Spine CT. sagittal view. image width 467 mm. bone window
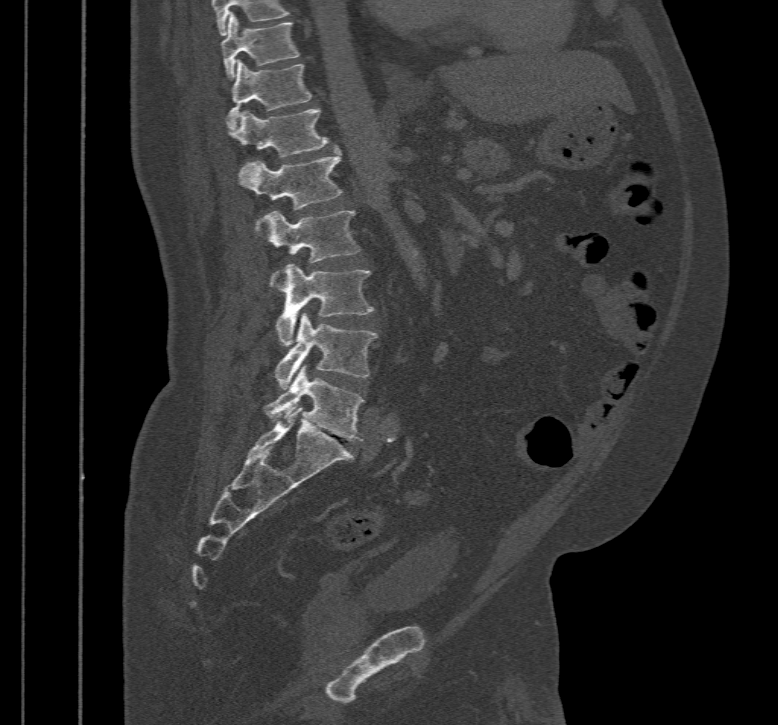
Boxes are (x1, y1, x2, y2) in pixels.
T10: (222, 12, 298, 79)
T11: (227, 59, 312, 129)
T12: (230, 109, 329, 156)
L1: (239, 151, 343, 236)
L2: (263, 210, 361, 286)
L3: (277, 264, 374, 346)
L4: (275, 314, 378, 389)
L5: (263, 365, 364, 441)